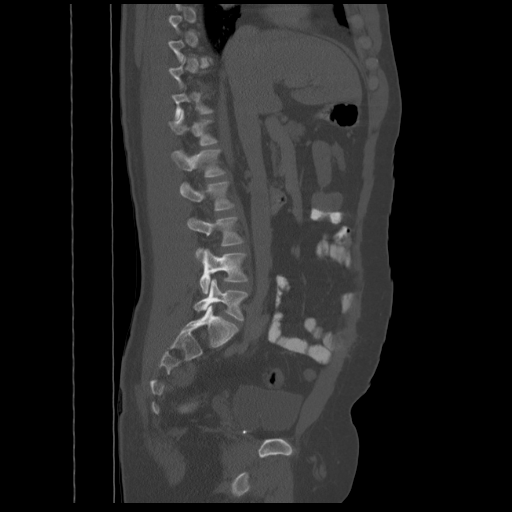
CT spine — image width 548 mm — sagittal view — W/L 1800/400 HU

Bounding boxes as [x1, y1, x2, y2] in pixel coordinates.
Each vertebra is boxed only on the slices from the first to the last where its cross-section reaches a third of its largest, so a slice outside that range leaves it unboxed.
L5: [193, 278, 248, 320]
L4: [200, 249, 248, 293]
L3: [188, 217, 244, 260]
L2: [180, 181, 234, 210]
L1: [171, 149, 225, 177]
T12: [169, 110, 218, 145]